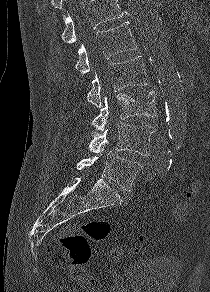 Spine computed tomography; sagittal view; 210 mm image width; W/L 1800/400 HU. Box edges are left/top/right/bottom in pixels.
Where the top of the scan cuts through a vertebra, that vertebra gets no label or box.
| vertebra | x1 | y1 | x2 | y2 |
|---|---|---|---|---|
| L1 | 74 | 21 | 136 | 74 |
| L2 | 86 | 56 | 147 | 107 |
| L3 | 92 | 90 | 156 | 132 |
| L4 | 88 | 122 | 155 | 156 |
| L5 | 76 | 144 | 141 | 191 |